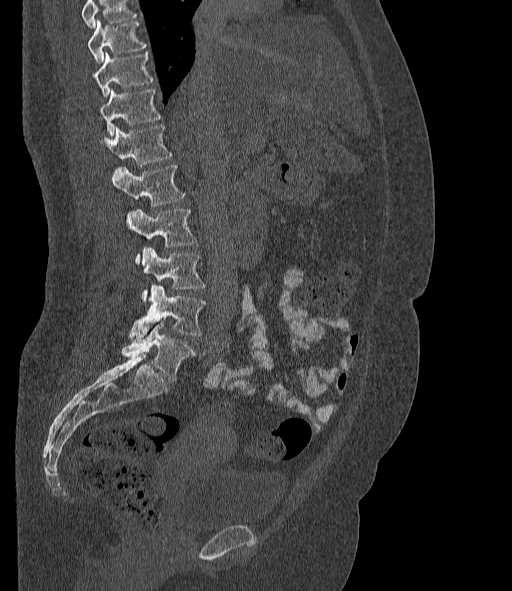 CT spine. sagittal view. image 377 mm wide. bone-window reconstruction
Each box is [x1, y1, x2, y2] in pixels: top-left corner, then bottom-right corner.
Vertebrae that run past the top of the scan are left unlabeled.
In these labels the spine has an L6, a sixth lumbar vertebra below L5.
{"vertebrae":{"L6":[122,322,194,381],"L5":[129,285,205,339],"L4":[141,247,205,302],"L3":[126,209,196,262],"L2":[113,164,185,205],"L1":[100,125,171,165],"T12":[99,90,160,136],"T11":[92,53,152,98],"T10":[88,20,145,63]}}